Computed tomography of the spine — Sagittal slice 194/512 — Bone window (WL 400, WW 1800) — 13 vertebrae labeled in this scan
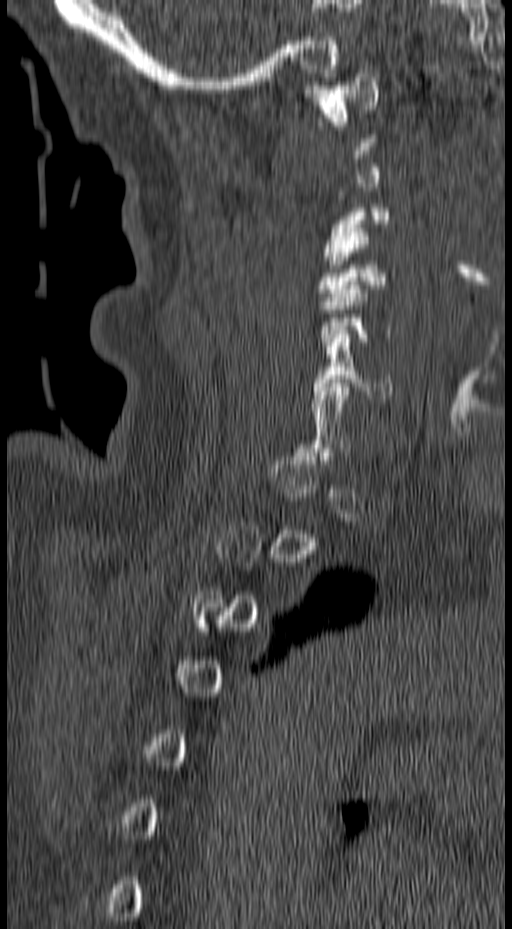

Bounding boxes as [x1, y1, x2, y2] in pixel coordinates.
A vertebra is boxed only from the first to the last slice where its cross-section is at least a third of its largest; slices outside that range leave it without a box.
Vertebra bounding boxes:
- C1: [302, 73, 378, 142]
- C3: [324, 196, 391, 264]
- C4: [317, 228, 397, 301]
- C6: [311, 334, 392, 398]